CT spine. image 196 mm wide. sagittal reformat. scan covers 4 annotated vertebrae
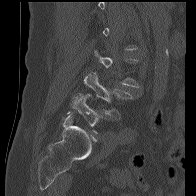
Box edges are left/top/right/bottom in pixels. Not every vertebra on this slice has a box: a vertebra is boxed only from the first to the last slice where its cross-section is at least a third of its largest, and this slice is outside that range for at least one of them. 2 vertebrae labeled — L5 at left=67, top=94, right=106, bottom=133; L4 at left=83, top=72, right=132, bottom=118.